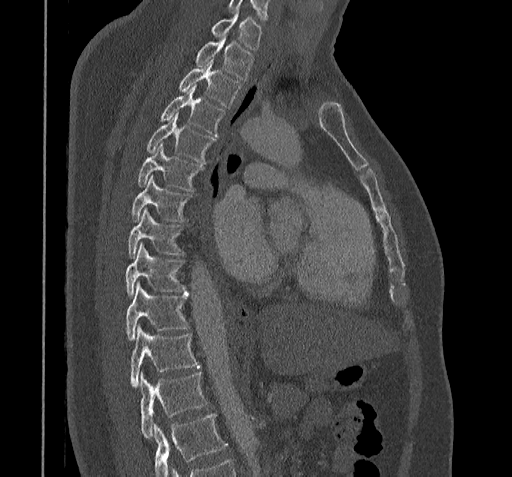

Computed tomography of the spine · sagittal view

Boxes are given in columns x1, y1, x2, y2, the pixel coordinates of their top-left and bottom-right corners.
Where the bottom of the scan cuts through a vertebra, that vertebra gets no label or box.
| vertebra | x1 | y1 | x2 | y2 |
|---|---|---|---|---|
| C7 | 210 | 13 | 263 | 49 |
| T1 | 194 | 36 | 253 | 79 |
| T2 | 178 | 59 | 242 | 106 |
| T3 | 159 | 87 | 224 | 135 |
| T4 | 146 | 113 | 215 | 164 |
| T5 | 136 | 145 | 204 | 191 |
| T6 | 132 | 176 | 193 | 221 |
| T7 | 127 | 209 | 185 | 258 |
| T8 | 125 | 243 | 186 | 298 |
| T9 | 125 | 282 | 188 | 341 |
| T10 | 130 | 328 | 199 | 387 |
| T11 | 140 | 374 | 207 | 437 |